CT, spine. sagittal view. bone-window reconstruction. 512x808 px
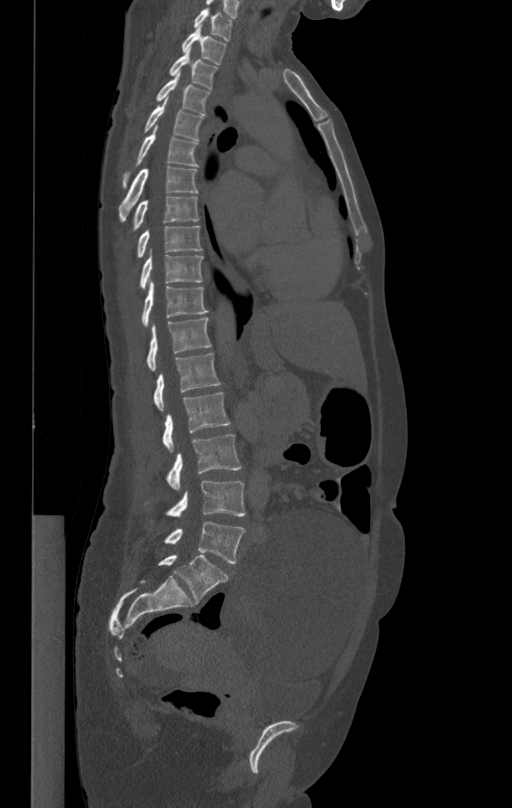
Each box given as x1,y1,x2,y2.
T1: x1=194, y1=9, x2=233, y2=39
T2: x1=182, y1=27, x2=226, y2=65
T3: x1=169, y1=49, x2=218, y2=88
T4: x1=156, y1=73, x2=210, y2=114
T5: x1=143, y1=97, x2=203, y2=140
T6: x1=122, y1=126, x2=199, y2=188
T7: x1=119, y1=167, x2=198, y2=222
T8: x1=130, y1=196, x2=199, y2=233
T9: x1=137, y1=226, x2=201, y2=257
T10: x1=140, y1=249, x2=203, y2=289
T11: x1=142, y1=281, x2=208, y2=324
T12: x1=147, y1=318, x2=211, y2=370
L1: x1=154, y1=352, x2=220, y2=411
L2: x1=163, y1=393, x2=230, y2=452
L3: x1=166, y1=434, x2=241, y2=490
L4: x1=166, y1=480, x2=245, y2=517
L5: x1=164, y1=521, x2=245, y2=563